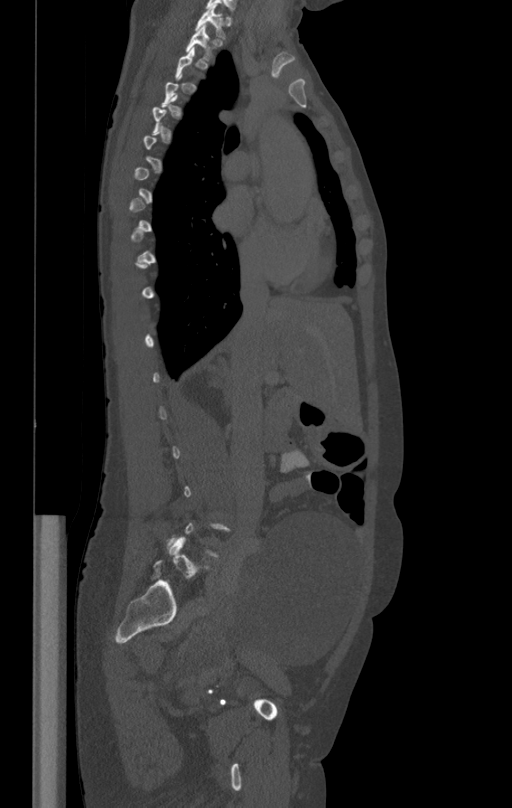

CT, spine — sagittal view — Bone window (WL 400, WW 1800) — image width 412 mm
Not every vertebra on this slice has a box: a vertebra is boxed only from the first to the last slice where its cross-section is at least a third of its largest, and this slice is outside that range for at least one of them.
<vertebrae><v name="T1" x1="195" y1="6" x2="225" y2="38"/><v name="T2" x1="185" y1="26" x2="220" y2="61"/></vertebrae>